CT — 180 mm wide — Sagittal slice 303/512
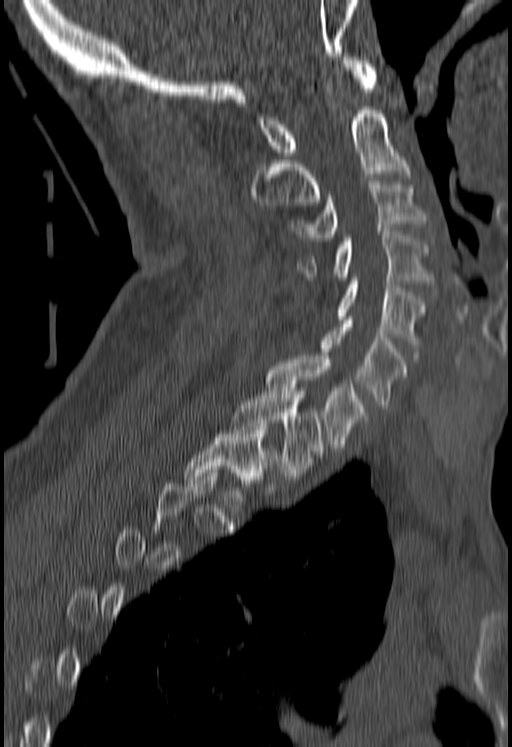 Boxes below are [x1, y1, x2, y2] in pixels.
A vertebra gets a box only on the slices from the first to the last where its cross-section is at least a third of its largest; on a slice outside that range it gets none.
{"vertebrae":{"T1":[230,391,321,475],"C7":[268,356,364,451],"C6":[322,320,407,408],"C5":[339,277,424,340],"C4":[298,231,431,283],"C3":[291,181,424,241],"C2":[251,107,407,209],"C1":[258,57,377,159]}}